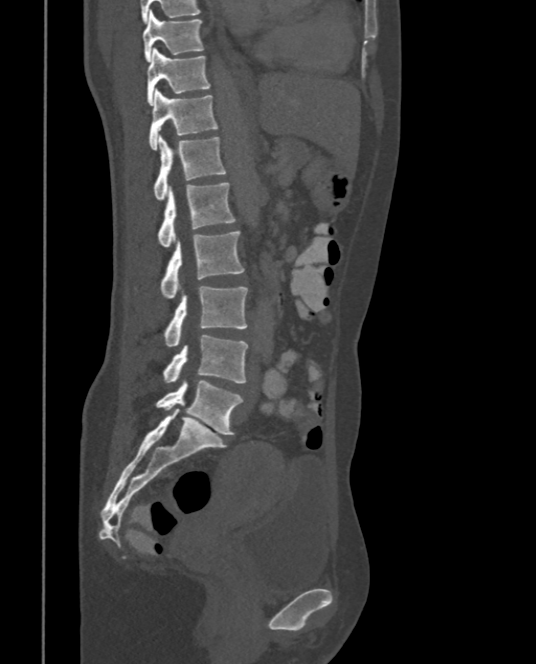

Computed tomography of the spine · sagittal view · 536x664 px
Box edges are left/top/right/bottom in pixels.
Vertebra bounding boxes:
- T9: left=142, top=10, right=203, bottom=62
- T10: left=146, top=48, right=210, bottom=105
- T11: left=149, top=88, right=218, bottom=149
- T12: left=154, top=134, right=226, bottom=200
- L1: left=158, top=183, right=235, bottom=247
- L2: left=161, top=231, right=245, bottom=299
- L3: left=164, top=286, right=247, bottom=346
- L4: left=162, top=334, right=247, bottom=383
- L5: left=156, top=380, right=243, bottom=435